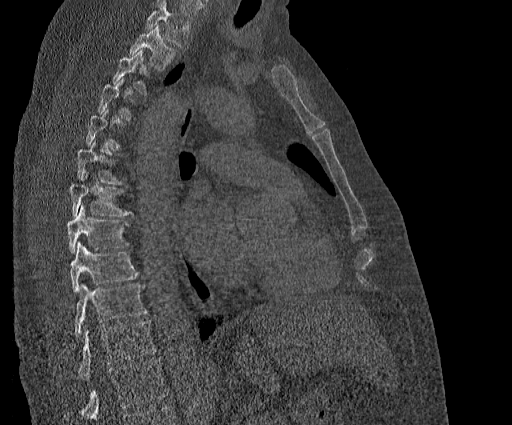 Spine CT — sagittal reformat
Boxes below are [x1, y1, x2, y2] in pixels.
A vertebra gets a box only on the slices from the first to the last where its cross-section is at least a third of its largest; on a slice outside that range it gets none.
Vertebrae that run past the top of the scan are left unlabeled.
Labels in this scan begin with T2 at the top and end with T11 at the bottom.
{"vertebrae":{"T11":[77,320,156,379],"T10":[74,284,147,336],"T9":[70,241,139,292],"T8":[66,205,129,254],"T7":[69,173,133,216],"T6":[77,141,121,183],"T3":[112,49,149,94],"T2":[129,25,175,70]}}